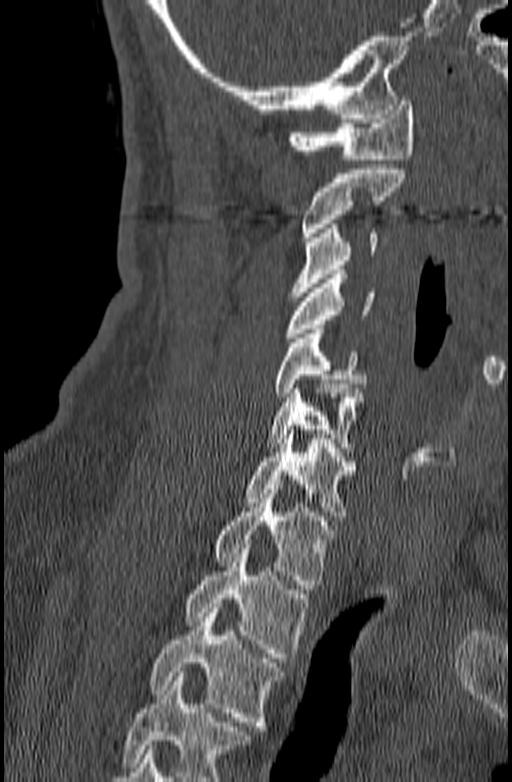

Spine computed tomography; sagittal view; 512x782 px
Bounding boxes as [x1, y1, x2, y2] in pixel coordinates. No box is given to a vertebra that the bottom edge of the scan cuts off. The labeled vertebrae in this slice are: C1 at [287, 96, 413, 159], C2 at [301, 165, 406, 241], C3 at [290, 224, 377, 296], C4 at [283, 270, 376, 342], C5 at [274, 329, 366, 397], C6 at [264, 384, 363, 452], C7 at [246, 430, 358, 520], T1 at [213, 485, 337, 589], T2 at [184, 544, 308, 662], T3 at [150, 603, 284, 730].